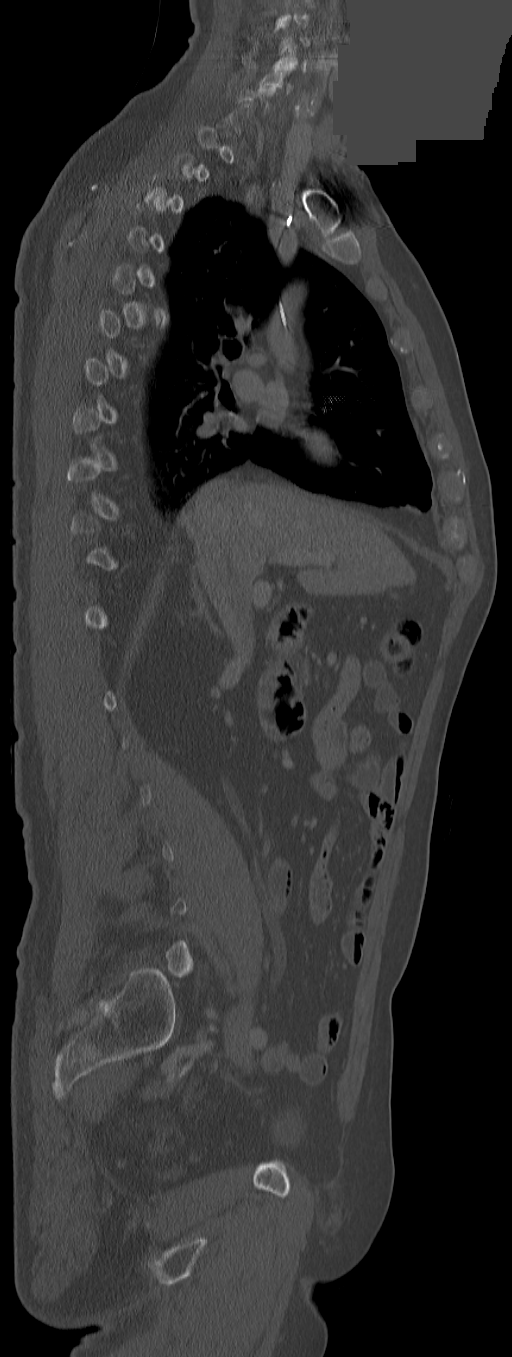

Computed tomography of the spine · sagittal view · W/L 1800/400 HU · 512x1357 px · a region is masked with a constant gray value
Each vertebra maps to its box as [x1, y1, x2, y2], the pixel coordinates of its top-left and bottom-right corners.
A vertebra is boxed only from the first to the last slice where its cross-section is at least a third of its largest; slices outside that range leave it without a box.
This scan's labels start at C3 at the top and end at L5 at the bottom.
{"vertebrae":{"C3":[279,36,309,55],"C5":[260,68,292,92]}}